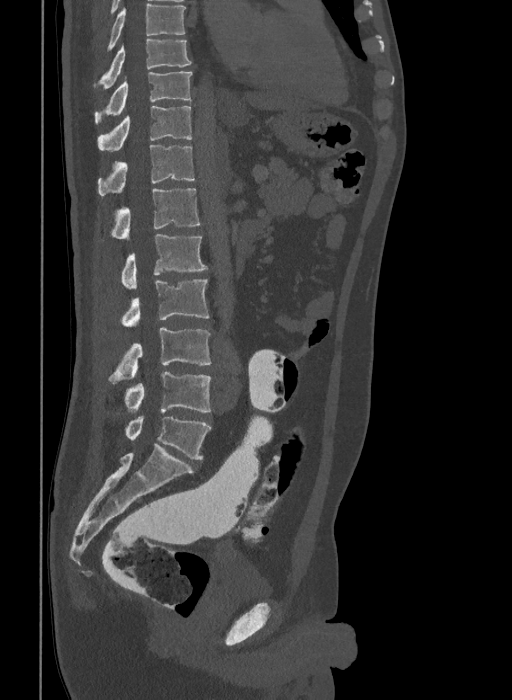 CT. sagittal view. bone window. 512x700 px. image 409 mm wide
Boxes: x1:y1:x2:y2 in pixels.
Labels in this scan begin with T9 at the top and end with L6 at the bottom.
These labels give the spine a sixth lumbar vertebra, L6, below L5.
Vertebra bounding boxes:
- T9: 98:38:192:89
- T10: 94:71:192:123
- T11: 98:105:192:150
- T12: 98:145:194:195
- L1: 110:188:200:239
- L2: 121:234:208:289
- L3: 121:279:209:327
- L4: 108:328:210:383
- L5: 124:372:210:412
- L6: 125:416:210:460